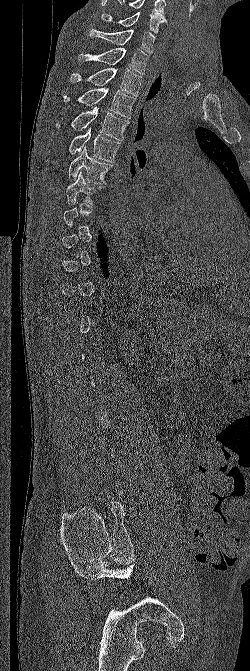

Spine computed tomography; sagittal view; 250x671 px

Boxes: x1:y1:x2:y2 in pixels.
A vertebra is boxed only from the first to the last slice where its cross-section is at least a third of its largest; slices outside that range leave it without a box.
The highest labeled vertebra in this scan is C6; the lowest is L5.
Vertebra bounding boxes:
- C6: 101:11:167:33
- C7: 89:29:155:53
- T1: 78:47:149:74
- T2: 70:68:141:96
- T3: 63:87:136:118
- T4: 55:107:129:140
- T5: 49:127:120:162
- T6: 68:146:112:183
- T7: 66:172:105:205